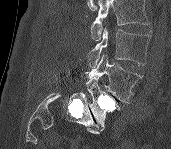

Spine computed tomography. sagittal view

Each box is [x1, y1, x2, y2] in pixels: top-left corner, then bottom-right corner.
Vertebrae that run past the top of the scan are left unlabeled.
{"vertebrae":{"L5":[86,77,120,130],"L4":[79,54,142,103],"L3":[87,28,150,67]}}